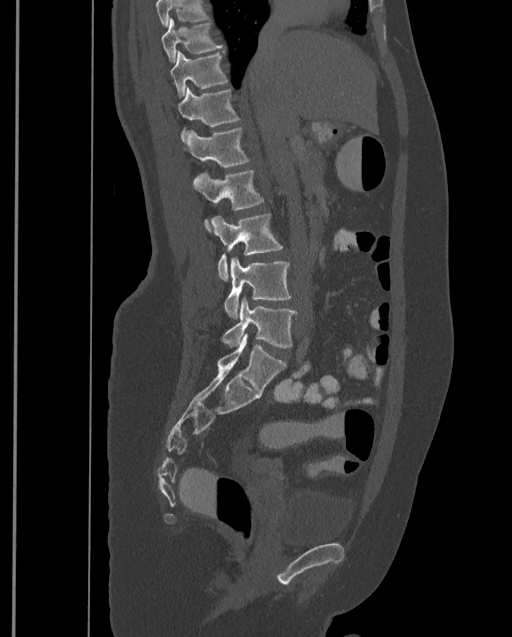
CT spine; sagittal view; bone window; 399 mm across the image
Where the top of the scan cuts through a vertebra, that vertebra gets no label or box.
Labels in this scan begin with T9 at the top and end with L4 at the bottom.
<vertebrae><v name="T9" x1="160" y1="17" x2="221" y2="63"/><v name="T10" x1="169" y1="51" x2="227" y2="98"/><v name="T11" x1="177" y1="87" x2="239" y2="141"/><v name="T12" x1="182" y1="128" x2="249" y2="166"/><v name="L1" x1="192" y1="171" x2="263" y2="232"/><v name="L2" x1="209" y1="214" x2="282" y2="281"/><v name="L3" x1="224" y1="258" x2="290" y2="319"/><v name="L4" x1="222" y1="298" x2="297" y2="348"/></vertebrae>